Spine computed tomography · Sagittal slice 272/512 · some of the image was removed or blocked out with constant pixels
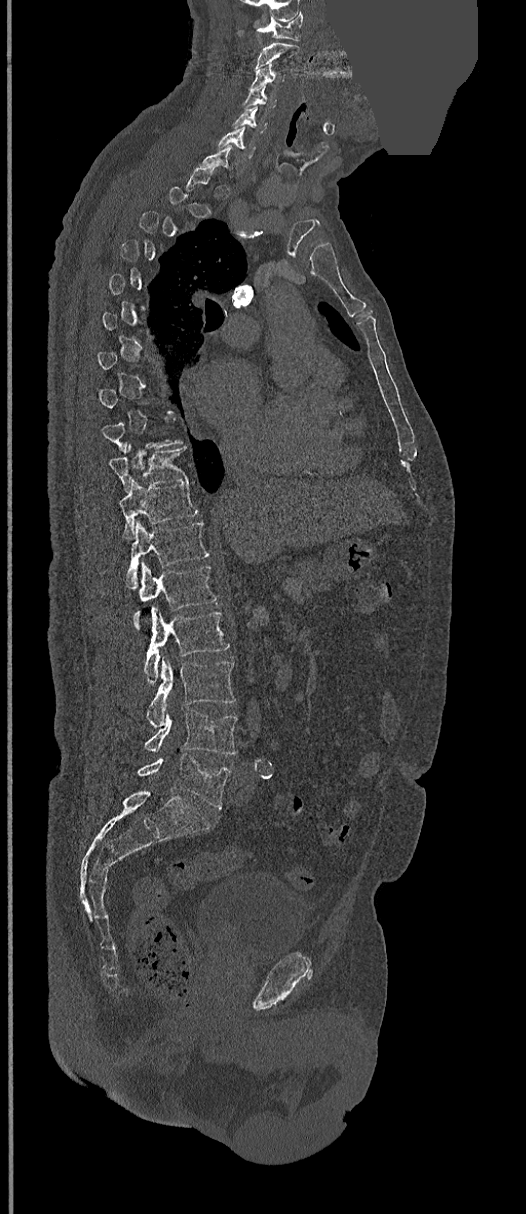

Each box given as x1,y1,x2,y2.
Each vertebra is boxed only on the slices from the first to the last where its cross-section reaches a third of its largest, so a slice outside that range leaves it unboxed.
Vertebra bounding boxes:
- C1: x1=256, y1=12, x2=303, y2=40
- C2: x1=256, y1=41, x2=299, y2=69
- C3: x1=251, y1=63, x2=284, y2=87
- C4: x1=242, y1=87, x2=276, y2=109
- C5: x1=233, y1=107, x2=266, y2=133
- C6: x1=216, y1=127, x2=256, y2=158
- C7: x1=200, y1=144, x2=233, y2=176
- T10: x1=110, y1=443, x2=189, y2=489
- T11: x1=120, y1=479, x2=199, y2=539
- T12: x1=125, y1=520, x2=208, y2=588
- L1: x1=140, y1=564, x2=216, y2=633
- L2: x1=144, y1=607, x2=229, y2=683
- L3: x1=147, y1=659, x2=236, y2=726
- L4: x1=144, y1=710, x2=237, y2=755
- L5: x1=137, y1=753, x2=232, y2=809